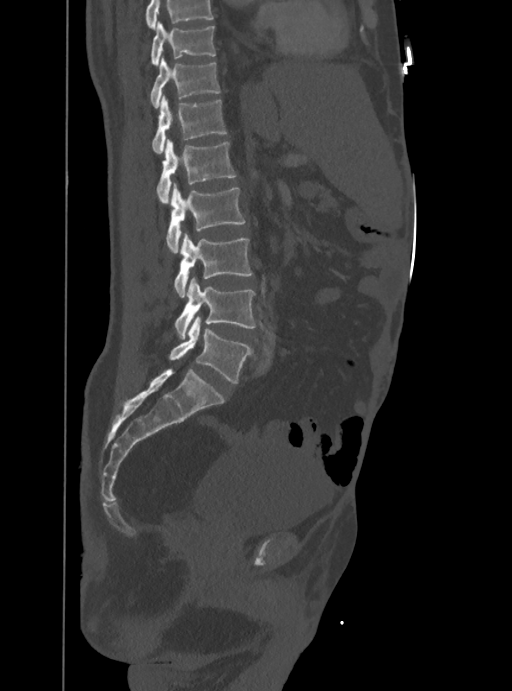
Computed tomography of the spine — sagittal view
Each box is [x1, y1, x2, y2] in pixels: top-left corner, then bottom-right corner.
A vertebra cut off by the top edge of the scan is not labeled and has no box.
{"vertebrae":{"T10":[150,23,215,64],"T11":[150,57,221,107],"T12":[152,96,227,153],"L1":[157,140,236,203],"L2":[166,183,244,252],"L3":[174,234,252,297],"L4":[174,278,256,337],"L5":[169,317,250,383]}}